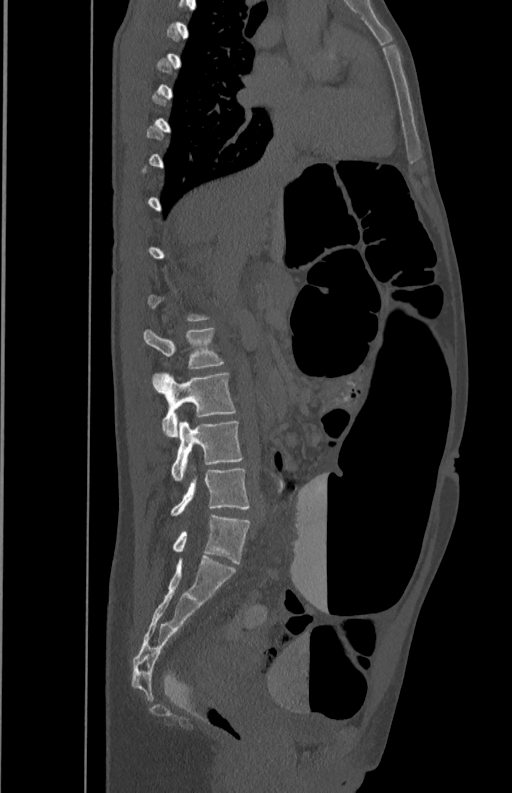 Computed tomography of the spine; sagittal view; bone-window reconstruction
Boxes below are [x1, y1, x2, y2] in pixels.
Each vertebra is boxed only on the slices from the first to the last where its cross-section reaches a third of its largest, so a slice outside that range leaves it unboxed.
{"vertebrae":{"L2":[143,328,224,369],"L3":[152,373,236,436],"L4":[171,421,243,480],"L5":[171,467,249,515]}}